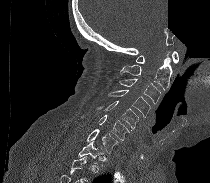
CT — sagittal view — some of the image was removed or blocked out with constant pixels
Each box given as x1,y1,x2,y2.
Vertebrae that run past the bottom of the scan are left unlabeled.
T1: x1=78, y1=141, x2=103, y2=163
C7: x1=87, y1=129, x2=118, y2=153
C6: x1=99, y1=115, x2=129, y2=143
C5: x1=97, y1=100, x2=138, y2=129
C4: x1=107, y1=90, x2=151, y2=117
C3: x1=119, y1=78, x2=161, y2=104
C2: x1=120, y1=52, x2=172, y2=90
C1: x1=136, y1=51, x2=178, y2=63